Spine computed tomography · sagittal view · bone-window reconstruction
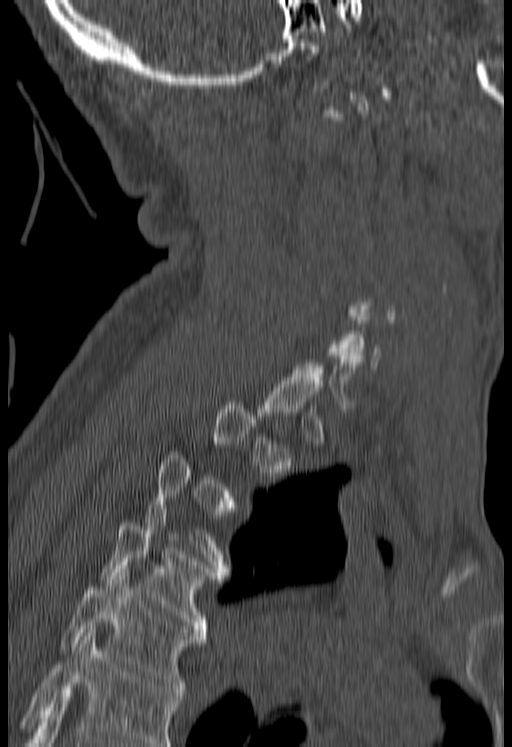 Each box given as x1,y1,x2,y2.
Not every vertebra on this slice has a box: a vertebra is boxed only from the first to the last slice where its cross-section is at least a third of its largest, and this slice is outside that range for at least one of them.
A vertebra cut off by the bottom edge of the scan is not labeled and has no box.
| vertebra | x1 | y1 | x2 | y2 |
|---|---|---|---|---|
| T4 | 100 | 512 | 225 | 639 |
| T5 | 61 | 569 | 205 | 696 |